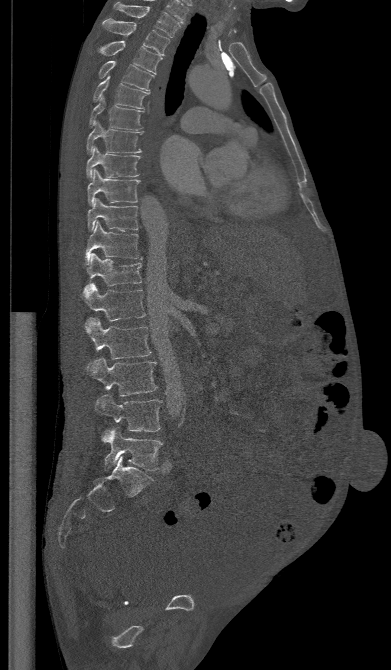

Spine computed tomography; sagittal view; W/L 1800/400 HU; 391x670 px
<vertebrae><v name="T1" x1="113" y1="2" x2="180" y2="37"/><v name="T2" x1="102" y1="19" x2="169" y2="55"/><v name="T3" x1="98" y1="40" x2="161" y2="74"/><v name="T4" x1="98" y1="60" x2="153" y2="90"/><v name="T5" x1="93" y1="76" x2="149" y2="109"/><v name="T6" x1="89" y1="96" x2="142" y2="130"/><v name="T7" x1="86" y1="122" x2="143" y2="154"/><v name="T8" x1="86" y1="146" x2="140" y2="178"/><v name="T9" x1="87" y1="169" x2="139" y2="205"/><v name="T10" x1="87" y1="198" x2="138" y2="231"/><v name="T11" x1="85" y1="221" x2="141" y2="263"/><v name="T12" x1="83" y1="253" x2="141" y2="295"/><v name="L1" x1="85" y1="283" x2="145" y2="321"/><v name="L2" x1="84" y1="317" x2="151" y2="359"/><v name="L3" x1="86" y1="357" x2="157" y2="396"/><v name="L4" x1="94" y1="394" x2="162" y2="431"/><v name="L5" x1="101" y1="428" x2="162" y2="471"/></vertebrae>